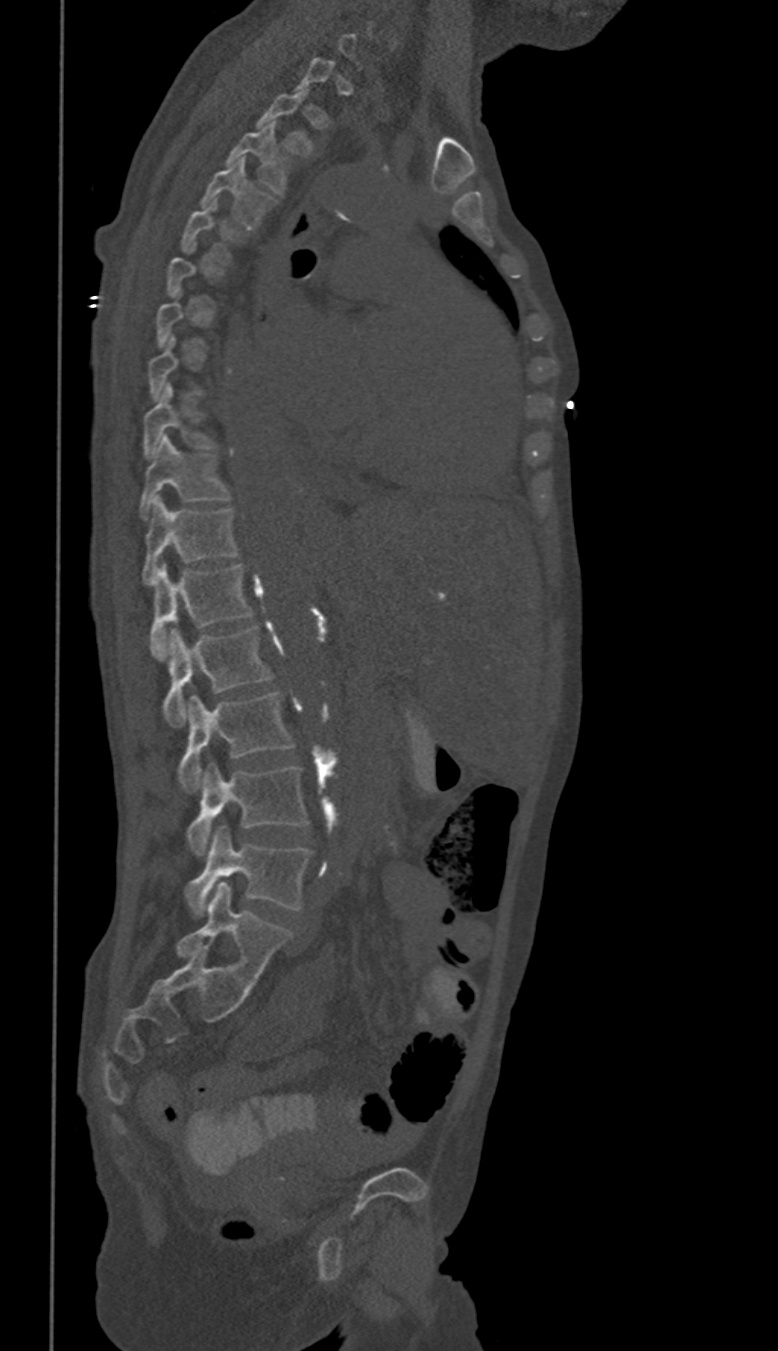

Spine CT; sagittal view; bone window
Bounding boxes as [x1, y1, x2, y2] in pixel coordinates.
A vertebra gets a box only on the slices from the first to the last where its cross-section is at least a third of its largest; on a slice outside that range it gets none.
In these labels the thoracic vertebrae end at T11, so L1 follows T11.
Vertebra bounding boxes:
- T2: [255, 89, 312, 155]
- T3: [226, 120, 289, 195]
- T4: [199, 158, 274, 228]
- T5: [179, 200, 244, 264]
- T9: [141, 383, 216, 459]
- T10: [140, 434, 230, 519]
- T11: [141, 498, 239, 584]
- L1: [149, 565, 253, 659]
- L2: [163, 625, 272, 726]
- L3: [178, 692, 294, 791]
- L4: [187, 763, 307, 855]
- L5: [184, 827, 312, 915]